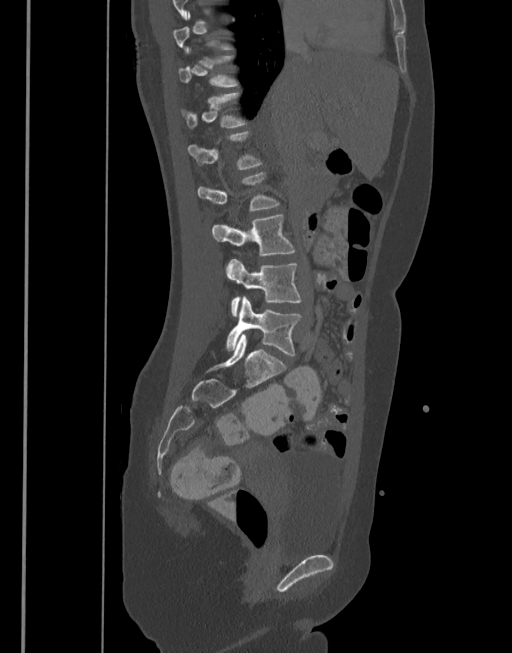
Spine computed tomography; sagittal view; bone window; 512x653 px
Boxes are (x1, y1, x2, y2) in pixels.
Each vertebra is boxed only on the slices from the first to the last where its cross-section reaches a third of its largest, so a slice outside that range leaves it unboxed.
L3: (212, 214, 295, 256)
L4: (226, 259, 300, 316)
L5: (227, 297, 302, 356)